Computed tomography of the spine; sagittal view; the image spans 500 mm across
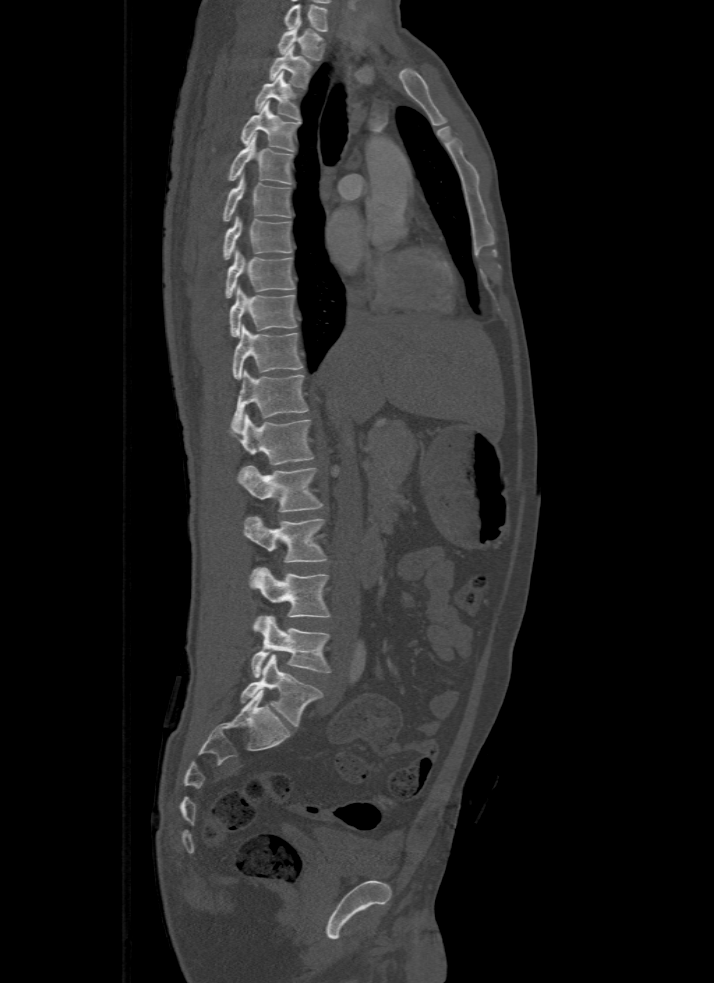

Boxes: x1:y1:x2:y2 in pixels.
This scan's labels start at T1 at the top and end at L5 at the bottom.
L5: 240:655:323:725
L4: 251:615:331:677
L3: 248:568:331:617
L2: 243:516:328:562
L1: 237:466:323:512
T12: 230:413:313:464
T11: 232:369:307:432
T10: 233:325:303:379
T9: 229:286:296:337
T8: 225:249:295:298
T7: 223:216:292:259
T6: 223:176:292:221
T5: 227:135:293:184
T4: 240:102:299:151
T3: 254:72:300:119
T2: 268:46:311:88
T1: 278:22:324:59